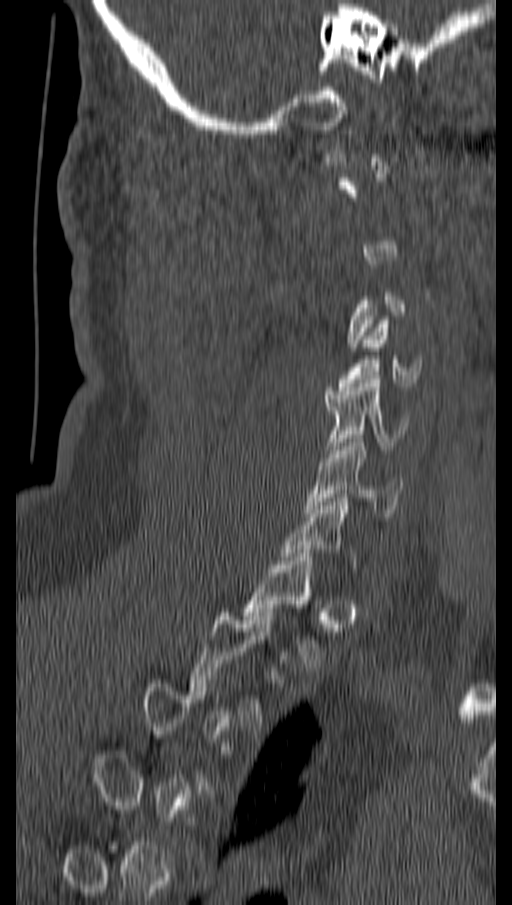 Spine computed tomography. image 162 mm wide. sagittal view

A vertebra is boxed only from the first to the last slice where its cross-section is at least a third of its largest; slices outside that range leave it without a box.
<vertebrae><v name="C4" x1="339" y1="320" x2="421" y2="390"/><v name="C5" x1="326" y1="379" x2="407" y2="453"/><v name="C6" x1="305" y1="435" x2="402" y2="513"/><v name="T1" x1="244" y1="553" x2="322" y2="667"/></vertebrae>